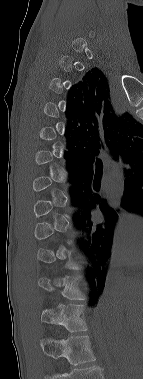
Spine computed tomography · sagittal view · 143x379 px

Coordinates as <box>x1,y1,x2,y2</box>.
A vertebra is boxed only from the first to the last slice where its cross-section is at least a third of its largest; slices outside that range leave it without a box.
This scan's labels start at C6 at the top and end at T12 at the bottom.
Vertebra bounding boxes:
- T11: <box>38,275,85,299</box>
- T12: <box>41,303,87,331</box>